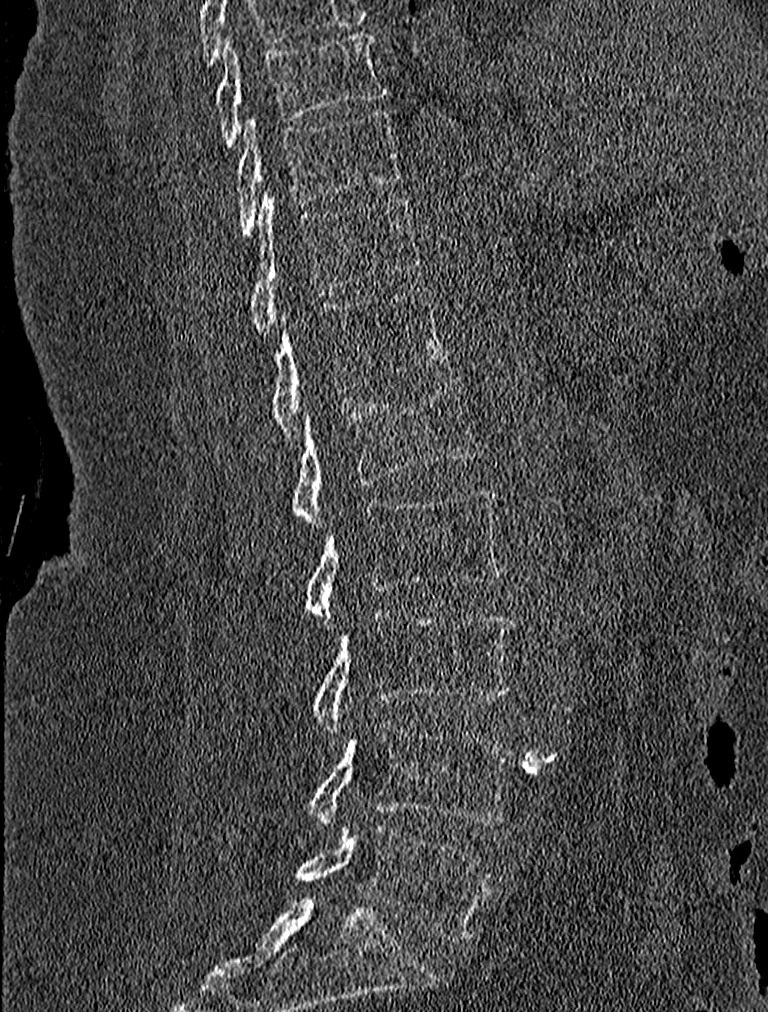 CT, spine · image width 227 mm · sagittal view
Box edges are left/top/right/bottom in pixels.
T9: left=215, top=33, right=387, bottom=145
T10: left=236, top=111, right=404, bottom=237
T11: left=249, top=190, right=417, bottom=334
T12: left=269, top=288, right=448, bottom=441
L1: left=293, top=376, right=478, bottom=526
L2: left=303, top=487, right=502, bottom=626
L3: left=313, top=611, right=515, bottom=739
L4: left=307, top=719, right=513, bottom=830
L5: left=297, top=824, right=492, bottom=941